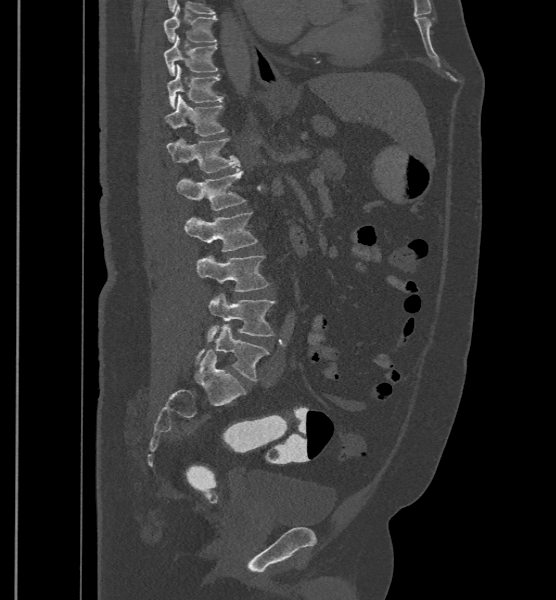
CT, spine; sagittal view; bone-window reconstruction
In these labels the spine has an L6, a sixth lumbar vertebra below L5.
<vertebrae><v name="T9" x1="164" y1="4" x2="217" y2="42"/><v name="T10" x1="164" y1="36" x2="218" y2="76"/><v name="T11" x1="167" y1="64" x2="223" y2="108"/><v name="T12" x1="165" y1="94" x2="225" y2="136"/><v name="L1" x1="167" y1="138" x2="240" y2="172"/><v name="L2" x1="177" y1="170" x2="245" y2="210"/><v name="L3" x1="184" y1="212" x2="257" y2="251"/><v name="L4" x1="196" y1="255" x2="269" y2="291"/><v name="L5" x1="206" y1="293" x2="275" y2="341"/><v name="L6" x1="195" y1="324" x2="268" y2="381"/></vertebrae>